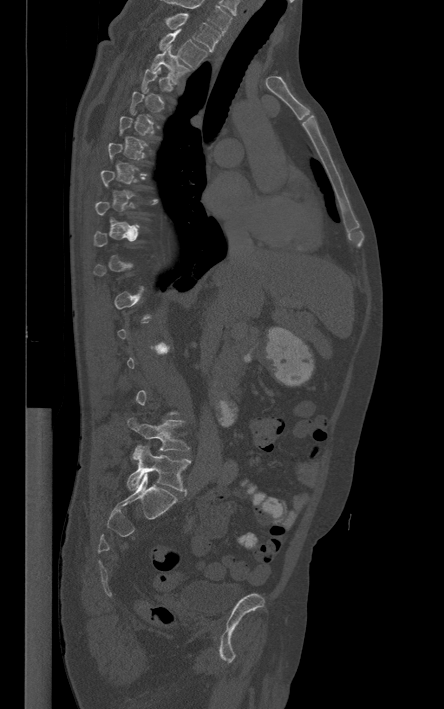
Computed tomography of the spine. sagittal reformat. W/L 1800/400 HU
Each box is [x1, y1, x2, y2] in pixels: top-left corner, then bottom-right corner.
Not every vertebra on this slice has a box: a vertebra is boxed only from the first to the last slice where its cross-section is at least a third of its largest, and this slice is outside that range for at least one of them.
This scan's labels start at T1 at the top and end at L5 at the bottom.
{"vertebrae":{"L5":[127,445,190,491],"L4":[127,419,189,451],"T3":[151,45,189,83],"T2":[159,30,206,67],"T1":[166,13,220,51]}}